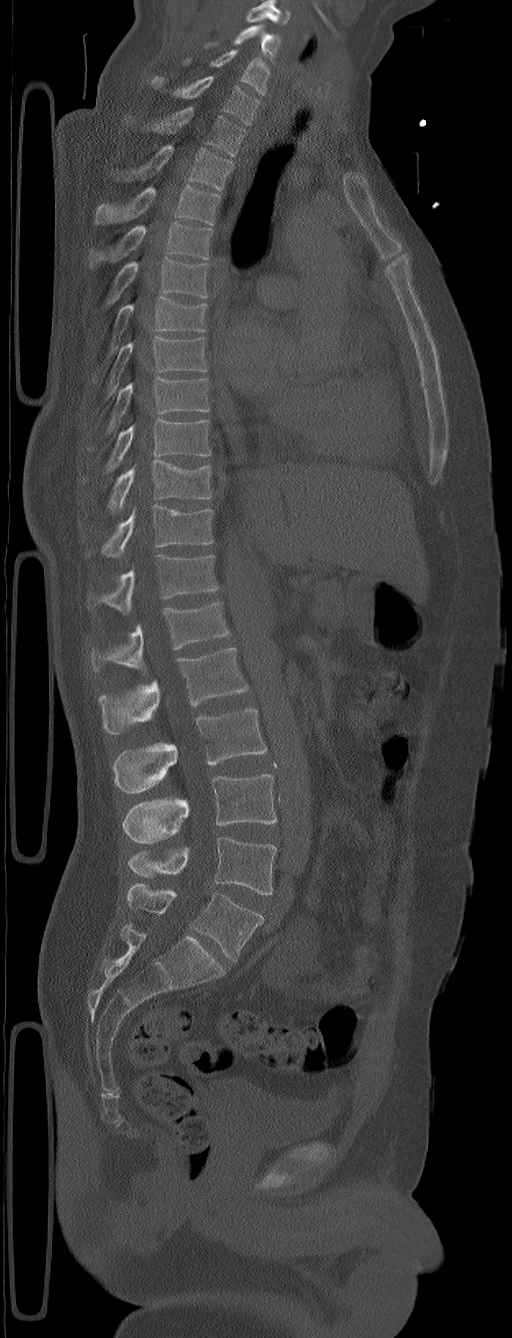
CT spine; sagittal view; W/L 1800/400 HU

Boxes: x1 y1 x2 y2 (pixel coords, space-separated).
Labels in this scan begin with C5 at the top and end with L6 at the bottom.
These labels give the spine a sixth lumbar vertebra, L6, below L5.
Vertebra bounding boxes:
- C5: 204 24 281 64
- C6: 185 49 270 95
- C7: 151 76 261 124
- T1: 145 106 244 155
- T2: 125 145 233 191
- T3: 94 185 221 224
- T4: 89 222 213 266
- T5: 104 257 207 305
- T6: 108 296 207 353
- T7: 106 336 207 398
- T8: 88 378 209 449
- T9: 84 418 211 481
- T10: 108 460 213 513
- T11: 101 506 213 557
- T12: 85 554 219 613
- L1: 91 601 229 671
- L2: 99 648 248 735
- L3: 113 709 266 793
- L4: 123 774 276 842
- L5: 128 836 276 894
- L6: 126 883 263 961